CT · the image is 336 mm wide · sagittal reformat
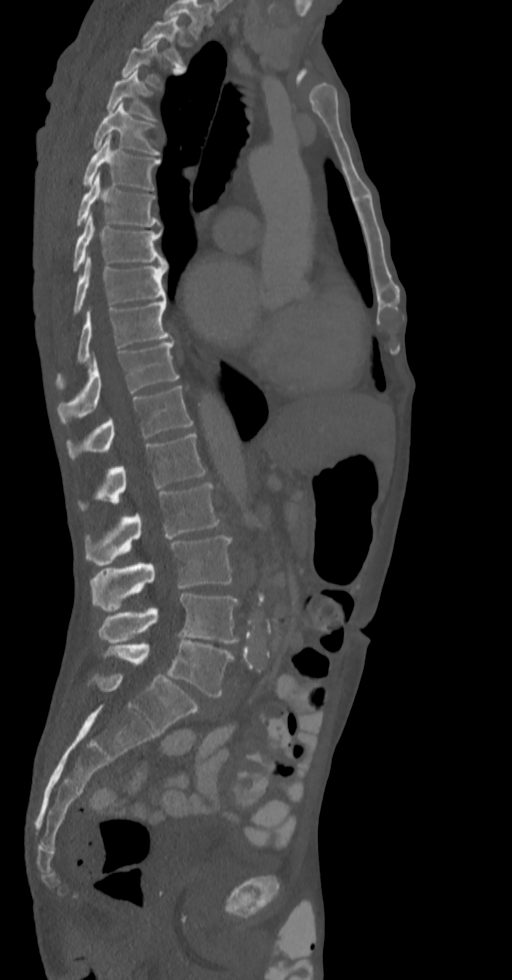 In this scan, the topmost labeled vertebra is T2 and the lowest is L5.
<vertebrae><v name="T2" x1="141" y1="17" x2="185" y2="68"/><v name="T3" x1="122" y1="40" x2="180" y2="87"/><v name="T4" x1="106" y1="70" x2="157" y2="121"/><v name="T5" x1="93" y1="102" x2="160" y2="154"/><v name="T6" x1="82" y1="134" x2="160" y2="189"/><v name="T7" x1="76" y1="174" x2="160" y2="226"/><v name="T8" x1="73" y1="215" x2="166" y2="272"/><v name="T9" x1="73" y1="256" x2="166" y2="316"/><v name="T10" x1="56" y1="299" x2="169" y2="383"/><v name="T11" x1="58" y1="341" x2="179" y2="423"/><v name="T12" x1="67" y1="386" x2="192" y2="458"/><v name="L1" x1="80" y1="433" x2="206" y2="508"/><v name="L2" x1="85" y1="483" x2="220" y2="566"/><v name="L3" x1="90" y1="536" x2="232" y2="610"/><v name="L4" x1="99" y1="593" x2="239" y2="644"/><v name="L5" x1="103" y1="640" x2="233" y2="697"/></vertebrae>